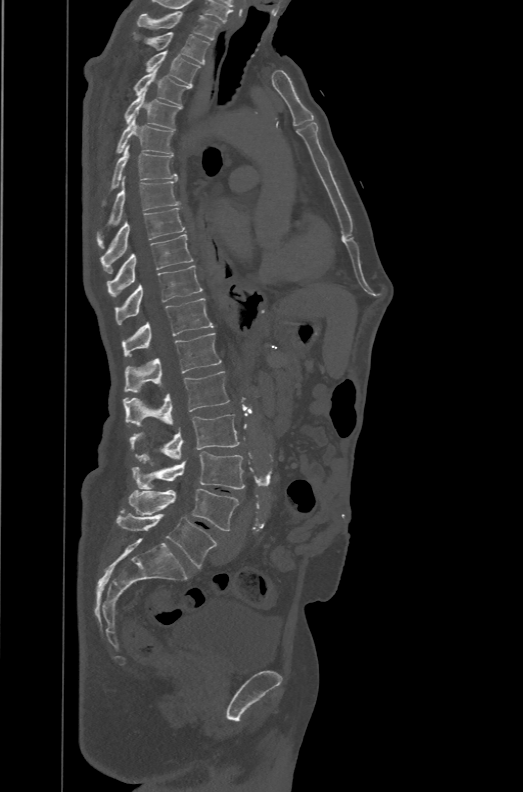
Spine computed tomography; sagittal reformat
Columns x1, y1, x2, y2 give each box's top-left and bottom-right pixels.
The labels name a sixth lumbar vertebra for this spine: L6, after L5.
| vertebra | x1 | y1 | x2 | y2 |
|---|---|---|---|---|
| T1 | 136 | 11 | 220 | 40 |
| T2 | 148 | 32 | 210 | 63 |
| T3 | 145 | 51 | 200 | 87 |
| T4 | 133 | 69 | 190 | 105 |
| T5 | 124 | 91 | 180 | 130 |
| T6 | 117 | 116 | 174 | 154 |
| T7 | 101 | 144 | 177 | 205 |
| T8 | 96 | 176 | 180 | 248 |
| T9 | 100 | 208 | 185 | 273 |
| T10 | 106 | 234 | 193 | 297 |
| T11 | 114 | 265 | 202 | 324 |
| T12 | 123 | 298 | 214 | 356 |
| L1 | 125 | 333 | 221 | 392 |
| L2 | 123 | 371 | 229 | 427 |
| L3 | 129 | 414 | 240 | 462 |
| L4 | 132 | 452 | 244 | 489 |
| L5 | 129 | 489 | 239 | 530 |
| L6 | 117 | 513 | 217 | 567 |